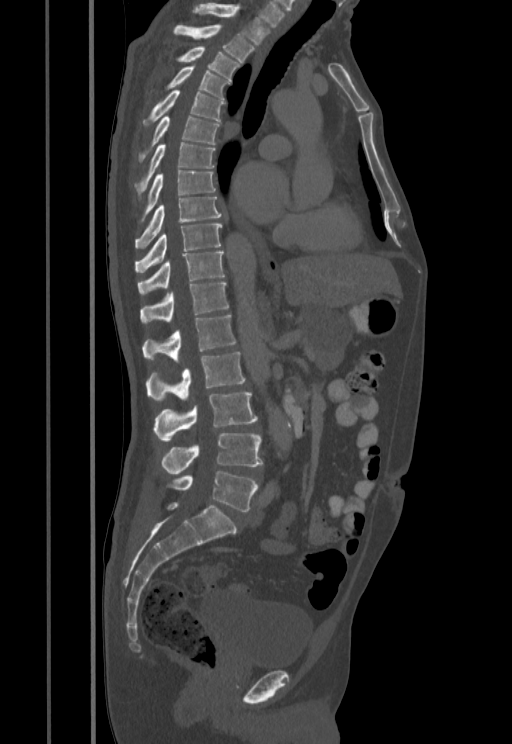
CT, spine — sagittal view. Boxes are (x1, y1, x2, y2) in pixels. Vertebrae labeled: T1 at (193, 3, 270, 44), T2 at (173, 25, 254, 62), T3 at (178, 46, 240, 79), T4 at (167, 66, 231, 99), T5 at (142, 89, 224, 127), T6 at (137, 117, 219, 165), T7 at (135, 142, 215, 195), T8 at (139, 170, 215, 223), T9 at (135, 196, 222, 248), T10 at (135, 224, 222, 273), T11 at (137, 252, 224, 294), T12 at (141, 281, 228, 324), L1 at (142, 314, 235, 360), L2 at (146, 352, 245, 401), L3 at (153, 392, 257, 441), L4 at (162, 433, 262, 474), L5 at (166, 471, 258, 511).